CT, spine — 180 mm across the image — sagittal plane, index 256
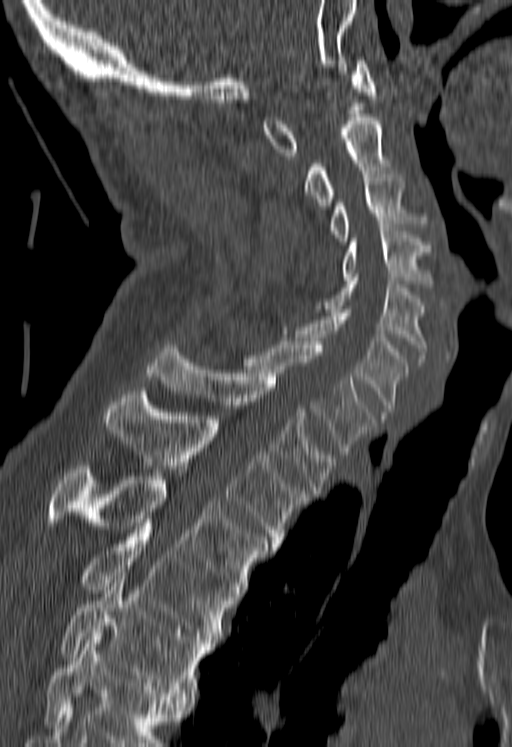

Box edges are left/top/right/bottom in pixels.
Vertebrae that run past the bottom of the scan are left unlabeled.
Vertebra bounding boxes:
- T5: left=61, top=572, right=210, bottom=699
- T4: left=78, top=523, right=230, bottom=646
- T3: left=44, top=466, right=267, bottom=596
- T2: left=103, top=391, right=307, bottom=547
- T1: left=146, top=345, right=336, bottom=493
- C7: left=246, top=338, right=375, bottom=454
- C6: left=297, top=309, right=407, bottom=415
- C5: left=325, top=277, right=427, bottom=362
- C4: left=342, top=228, right=429, bottom=287
- C3: left=331, top=174, right=412, bottom=241
- C2: left=305, top=114, right=387, bottom=205
- C1: left=263, top=57, right=375, bottom=155